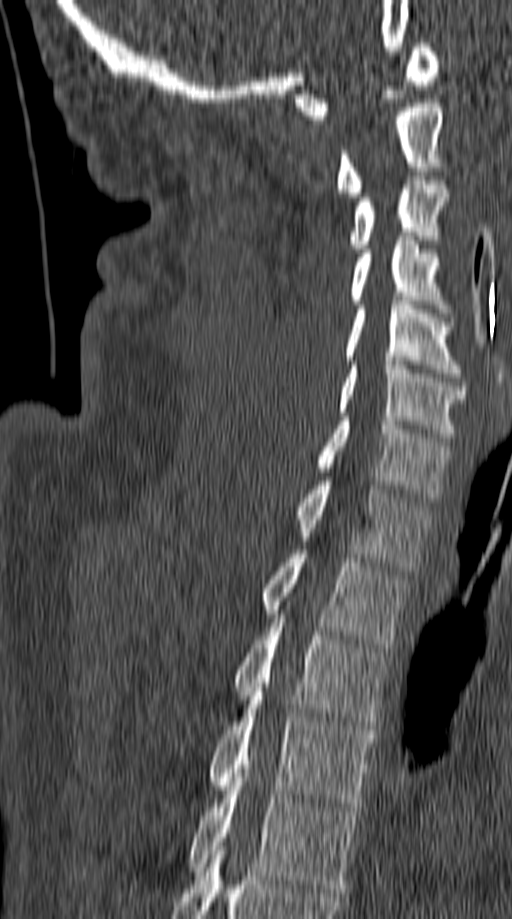 CT — sagittal reformat — bone window — 512x919 px
Each row gives a vertebra's box as x1, y1, x2, y2 in pixels: top-left corner, then bottom-right corner.
| vertebra | x1 | y1 | x2 | y2 |
|---|---|---|---|---|
| T5 | 188 | 777 | 360 | 892 |
| T4 | 207 | 692 | 375 | 807 |
| T3 | 235 | 614 | 389 | 729 |
| T2 | 262 | 550 | 409 | 648 |
| T1 | 297 | 481 | 433 | 570 |
| C7 | 317 | 417 | 450 | 502 |
| C6 | 337 | 361 | 467 | 441 |
| C5 | 344 | 301 | 461 | 377 |
| C4 | 350 | 241 | 450 | 313 |
| C3 | 348 | 172 | 449 | 252 |
| C2 | 335 | 103 | 447 | 197 |
| C1 | 295 | 43 | 440 | 119 |